Spine CT — sagittal view — bone-window reconstruction — 512x827 px — scan covers 10 annotated vertebrae
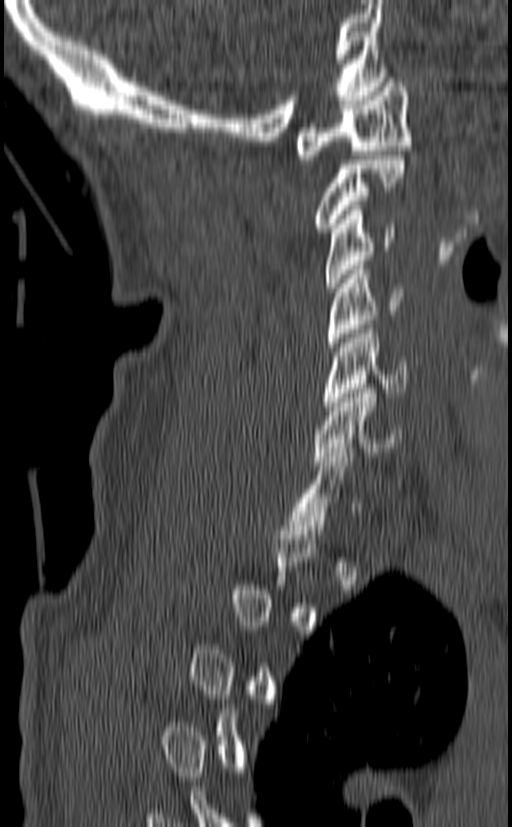

Each vertebra maps to its box as [x1, y1, x2, y2], the pixel coordinates of its top-left and bottom-right corners.
A vertebra is boxed only from the first to the last slice where its cross-section is at least a third of its largest; slices outside that range leave it without a box.
{"vertebrae":{"C1":[294,78,411,159],"C2":[312,155,406,232],"C3":[325,206,395,292],"C4":[327,265,403,351],"C5":[322,325,410,406],"C6":[313,384,401,465],"C7":[289,448,361,534]}}